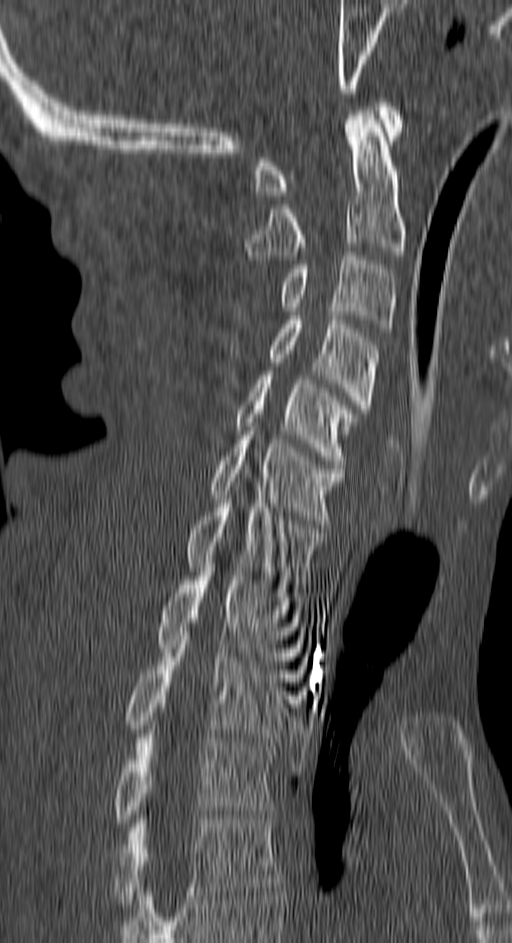
Computed tomography of the spine — sagittal view — 512x943 px
Each box given as x1,y1,x2,y2.
T4: x1=114, y1=815, x2=280, y2=908
T3: x1=114, y1=730, x2=273, y2=827
T2: x1=124, y1=640, x2=289, y2=741
T1: x1=155, y1=576, x2=303, y2=669
C7: x1=182, y1=495, x2=324, y2=588
C6: x1=209, y1=427, x2=345, y2=524
C5: x1=237, y1=371, x2=354, y2=464
C4: x1=267, y1=316, x2=379, y2=438
C3: x1=278, y1=252, x2=396, y2=332
C2: x1=244, y1=107, x2=406, y2=264
C1: x1=254, y1=102, x2=403, y2=195